CT spine. sagittal view. the image is 412 mm wide. W/L 1800/400 HU. 17 vertebrae labeled in this scan
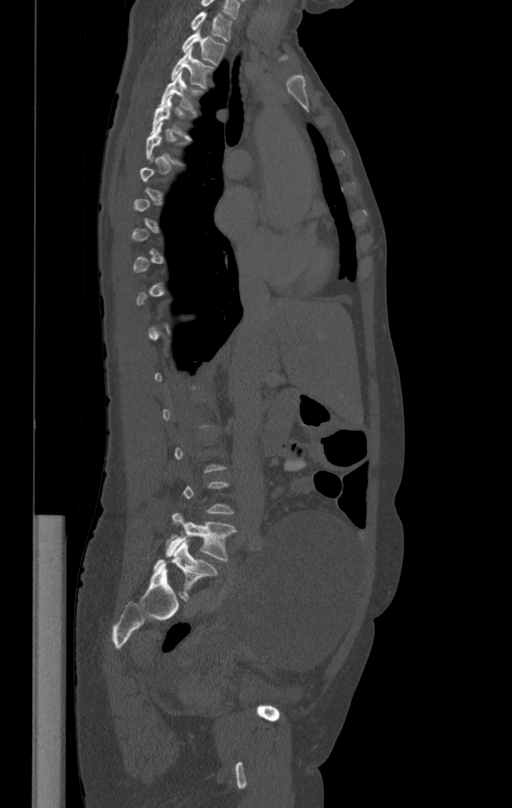
Boxes are (x1, y1, x2, y2) in pixels.
A vertebra is boxed only from the first to the last slice where its cross-section is at least a third of its largest; slices outside that range leave it without a box.
T1: (190, 12, 233, 42)
T2: (181, 31, 225, 65)
T3: (171, 49, 214, 88)
T4: (160, 73, 203, 113)
T5: (150, 96, 194, 139)
T6: (145, 123, 188, 166)
L5: (166, 512, 236, 560)